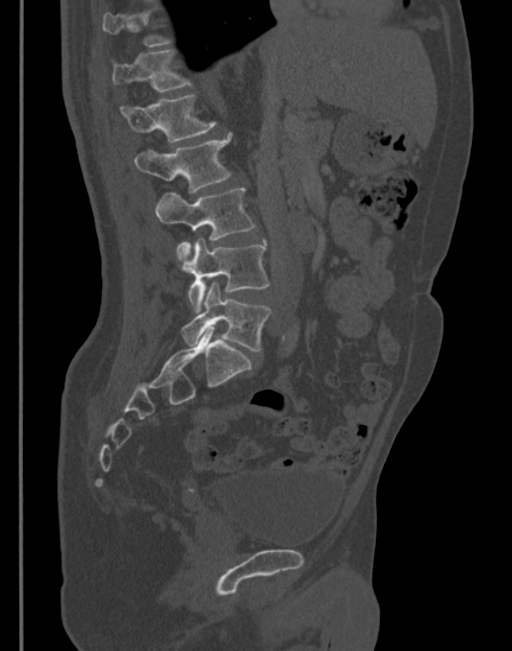

CT. sagittal reformat. W/L 1800/400 HU. image width 345 mm
Each vertebra maps to its box as [x1, y1, x2, y2], the pixel coordinates of its top-left and bottom-right corners.
Each vertebra is boxed only on the slices from the first to the last where its cross-section reaches a third of its largest, so a slice outside that range leaves it unboxed.
{"vertebrae":{"T12":[111,50,192,92],"L1":[120,94,215,143],"L2":[135,133,232,193],"L3":[156,188,255,267],"L4":[187,239,269,311],"L5":[181,281,272,352]}}